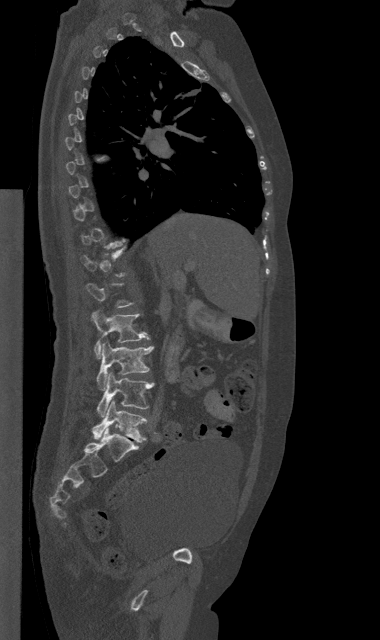
CT, spine. sagittal reformat. bone-window reconstruction. 380x640 px
Each box is [x1, y1, x2, y2] in pixels: top-left corner, then bottom-right corner.
A vertebra gets a box only on the slices from the first to the last where its cross-section is at least a third of its largest; on a slice outside that range it gets none.
{"vertebrae":{"L2":[92,311,149,358],"L3":[97,341,153,390],"L4":[97,372,154,417],"L5":[92,401,146,442]}}